Spine computed tomography — Sagittal slice 237/512 — 531x786 px
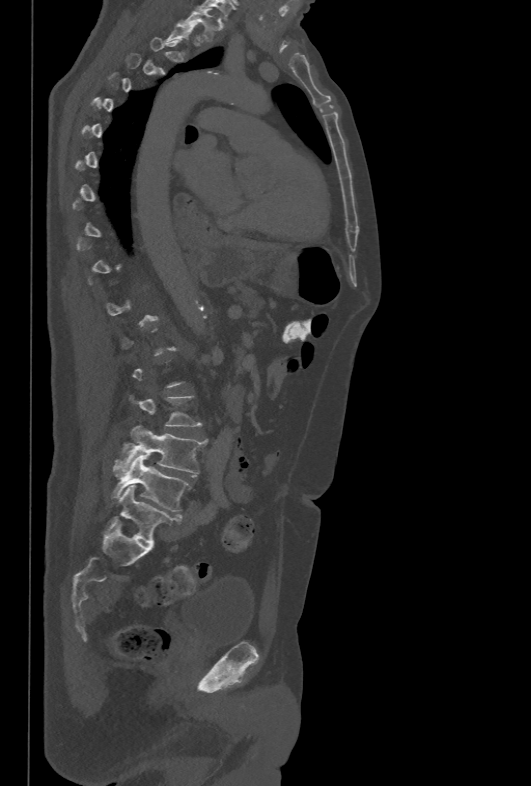
Box values are [left, top, right, bottom] in pixels.
Not every vertebra on this slice has a box: a vertebra is boxed only from the first to the last slice where its cross-section is at least a third of its largest, and this slice is outside that range for at least one of them.
{"vertebrae":{"T1":[183,9,217,41],"L4":[113,425,206,476],"L5":[111,456,190,512]}}